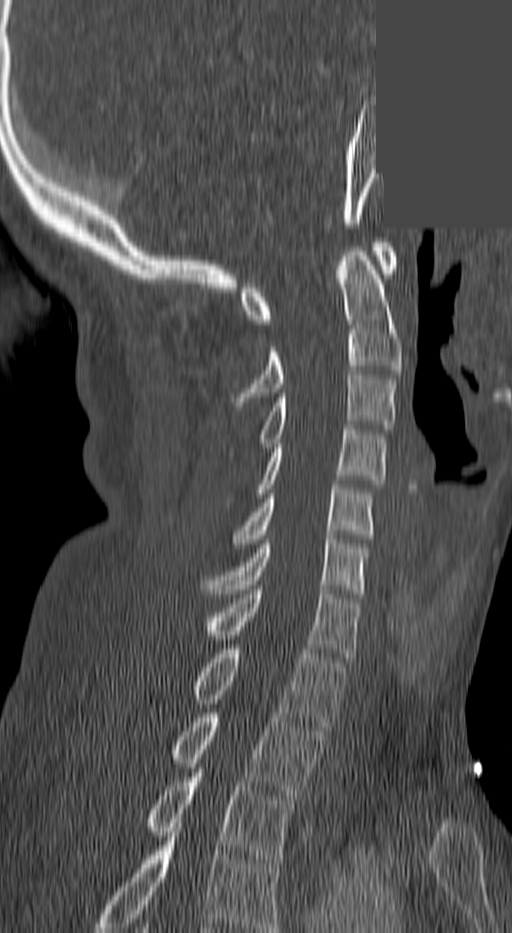 CT, spine; sagittal reformat; bone window; 512x933 px; some of the image was removed or blocked out with constant pixels

Coordinates as <box>x1,y1,x2,y2</box>. This scan's labels start at C1 at the top and end at T3 at the bottom. 10 vertebrae labeled — C1 at <box>239,242,395,324</box>; C2 at <box>234,247,399,406</box>; C3 at <box>257,375,395,447</box>; C4 at <box>257,430,388,497</box>; C5 at <box>235,485,373,543</box>; C6 at <box>202,539,366,593</box>; C7 at <box>210,590,359,657</box>; T1 at <box>192,649,344,730</box>; T2 at <box>173,713,323,799</box>; T3 at <box>148,768,289,863</box>.